CT. Sagittal slice 226/512. the image is 399 mm wide
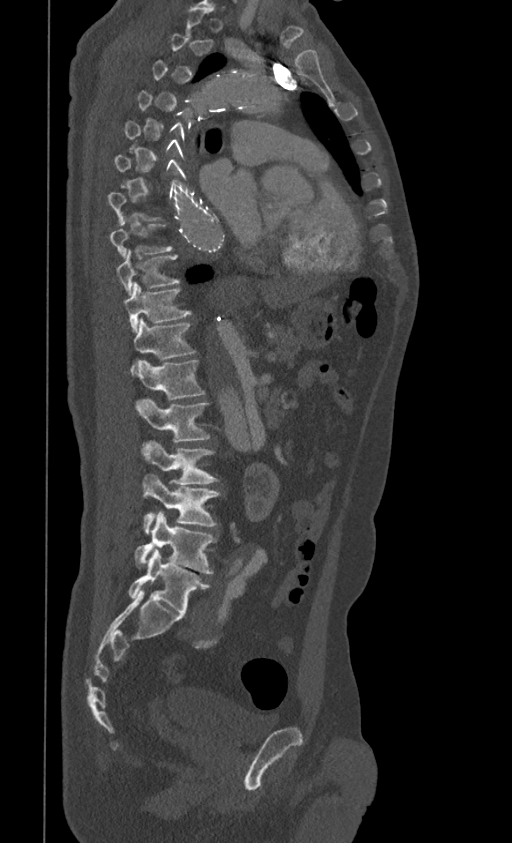

Bounding boxes as [x1, y1, x2, y2] in pixel coordinates. Not every vertebra on this slice has a box: a vertebra is boxed only from the first to the last slice where its cross-section is at least a third of its largest, and this slice is outside that range for at least one of them. 10 vertebrae labeled — T8 at [109, 221, 172, 257]; T9 at [117, 249, 180, 295]; T10 at [123, 282, 191, 332]; T11 at [131, 319, 195, 371]; T12 at [137, 359, 204, 400]; L1 at [136, 400, 209, 441]; L2 at [142, 440, 218, 497]; L3 at [142, 474, 220, 533]; L4 at [135, 510, 216, 573]; L5 at [128, 550, 209, 615].